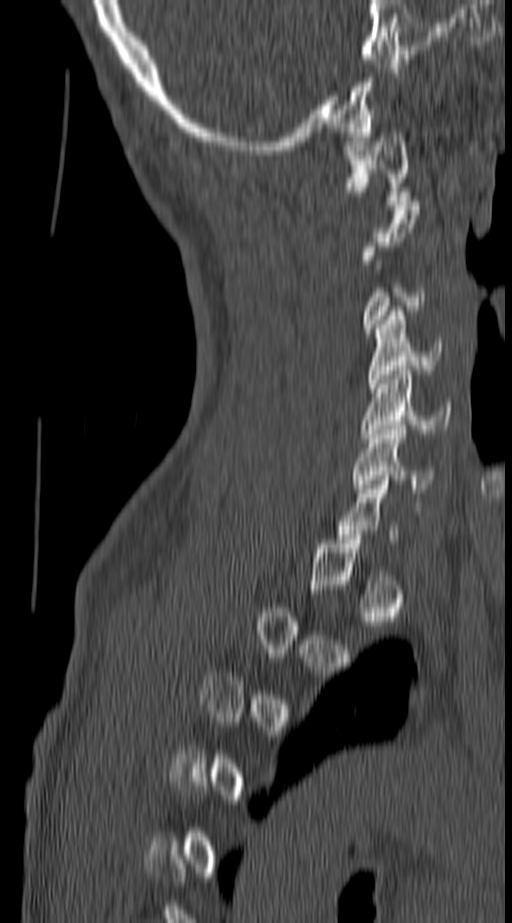

Computed tomography of the spine; sagittal view; 140 mm image width; bone window; 512x923 px
Box edges are left/top/right/bottom in pixels.
A vertebra is boxed only from the first to the last slice where its cross-section is at least a third of its largest; slices outside that range leave it without a box.
| vertebra | x1 | y1 | x2 | y2 |
|---|---|---|---|---|
| C1 | 345 | 133 | 411 | 205 |
| C4 | 367 | 311 | 441 | 388 |
| C5 | 361 | 370 | 450 | 442 |
| C6 | 351 | 425 | 436 | 493 |